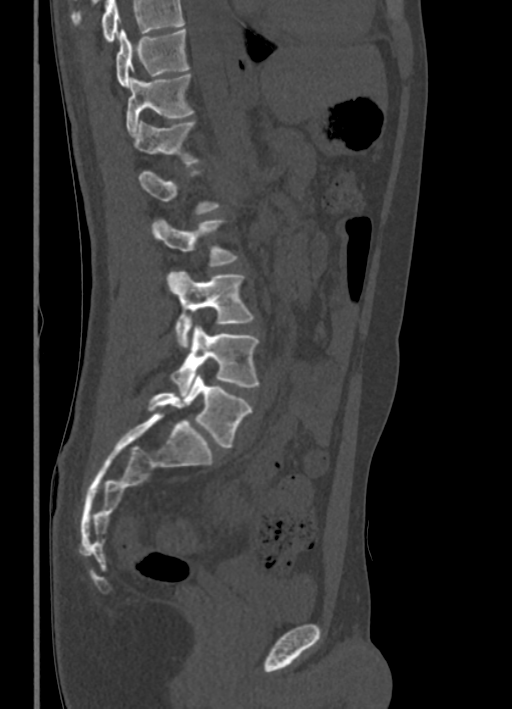 CT spine · sagittal view · W/L 1800/400 HU

Boxes are given in columns x1, y1, x2, y2, the pixel coordinates of their top-left and bottom-right corners.
Not every vertebra on this slice has a box: a vertebra is boxed only from the first to the last slice where its cross-section is at least a third of its largest, and this slice is outside that range for at least one of them.
Where the top of the scan cuts through a vertebra, that vertebra gets no label or box.
| vertebra | x1 | y1 | x2 | y2 |
|---|---|---|---|---|
| T10 | 116 | 29 | 189 | 89 |
| T11 | 126 | 74 | 192 | 133 |
| T12 | 131 | 121 | 197 | 164 |
| L2 | 152 | 220 | 237 | 266 |
| L3 | 167 | 271 | 253 | 347 |
| L4 | 172 | 324 | 258 | 395 |
| L5 | 148 | 374 | 252 | 447 |